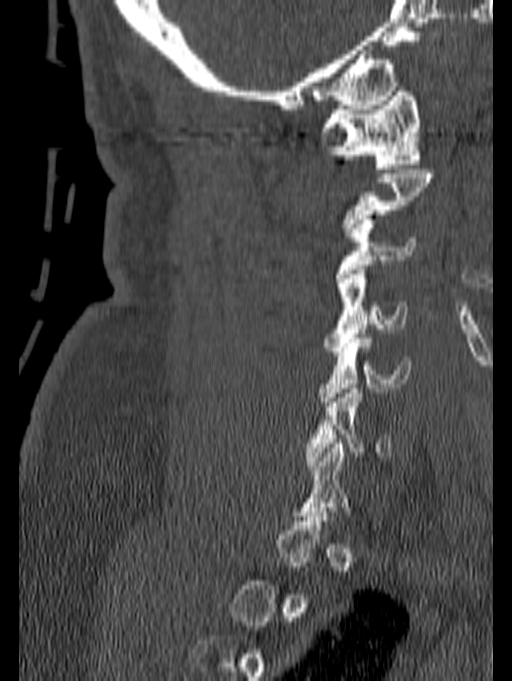 CT spine · sagittal view · bone window · the image is 140 mm wide
Boxes: x1 y1 x2 y2 (pixel coords, space-separated).
Each vertebra is boxed only on the slices from the first to the last where its cross-section reaches a third of its largest, so a slice outside that range leaves it unboxed.
C1: 317 87 421 168
C3: 334 219 418 282
C4: 323 270 407 356
C5: 317 334 410 406
C6: 305 384 390 470